CT, spine. Sagittal slice 65/118. bone window. scan covers 16 annotated vertebrae
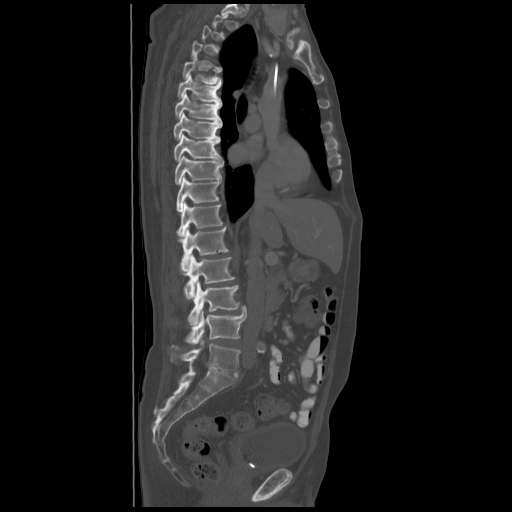 Each box given as x1,y1,x2,y2. A vertebra is boxed only from the first to the last slice where its cross-section is at least a third of its largest; slices outside that range leave it without a box. The labeled vertebrae in this slice are: T5 at x1=183, y1=57, x2=222, y2=83, T6 at x1=177, y1=74, x2=221, y2=103, T7 at x1=175, y1=92, x2=221, y2=121, T8 at x1=173, y1=113, x2=222, y2=140, T9 at x1=174, y1=135, x2=222, y2=161, T10 at x1=175, y1=155, x2=223, y2=184, T11 at x1=177, y1=175, x2=220, y2=211, T12 at x1=177, y1=202, x2=223, y2=236, L1 at x1=178, y1=227, x2=228, y2=270, L2 at x1=184, y1=253, x2=234, y2=299, L3 at x1=188, y1=281, x2=239, y2=325, L4 at x1=172, y1=307, x2=246, y2=346, L5 at x1=171, y1=340, x2=240, y2=376.